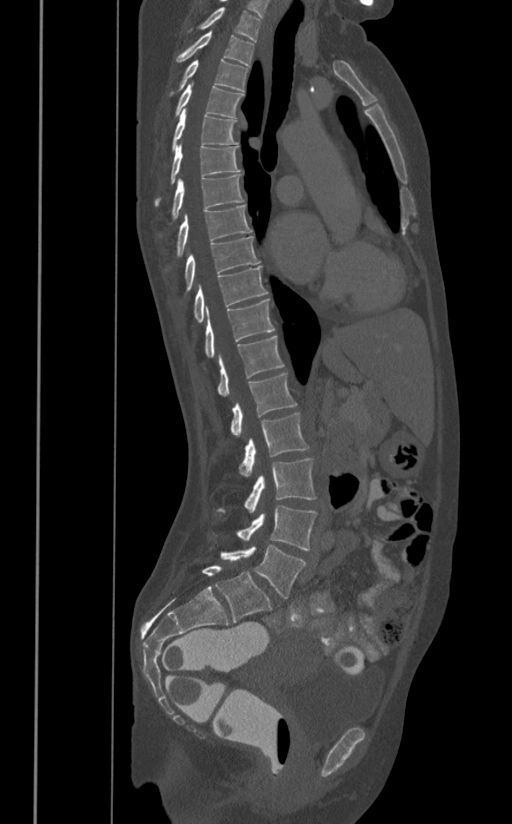 CT, spine. sagittal view. W/L 1800/400 HU. 512x824 px. Each box given as x1,y1,x2,y2.
L5: x1=220, y1=544, x2=305, y2=598
L4: x1=235, y1=506, x2=317, y2=551
L3: x1=217, y1=458, x2=317, y2=512
L2: x1=239, y1=412, x2=309, y2=477
L1: x1=230, y1=372, x2=296, y2=436
T12: x1=217, y1=336, x2=283, y2=397
T11: x1=205, y1=298, x2=274, y2=356
T10: x1=194, y1=266, x2=267, y2=321
T9: x1=184, y1=236, x2=259, y2=291
T8: x1=177, y1=204, x2=252, y2=256
T7: x1=172, y1=174, x2=244, y2=218
T6: x1=154, y1=144, x2=241, y2=205
T5: x1=171, y1=108, x2=238, y2=150
T4: x1=175, y1=81, x2=244, y2=117
T3: x1=170, y1=59, x2=248, y2=94
T2: x1=175, y1=32, x2=254, y2=66
T1: x1=187, y1=7, x2=261, y2=41